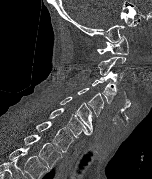
Computed tomography of the spine; sagittal view; W/L 1800/400 HU
Each box is [x1, y1, x2, y2] in pixels: top-left corner, then bottom-right corner.
In this scan, the topmost labeled vertebra is C1 and the lowest is T2.
{"vertebrae":{"C1":[97,34,128,55],"C2":[98,56,126,76],"C3":[99,71,123,88],"C4":[91,79,118,104],"C5":[77,88,103,116],"C6":[59,97,92,133],"C7":[49,108,90,137],"T1":[36,121,74,152],"T2":[24,134,63,168]}}